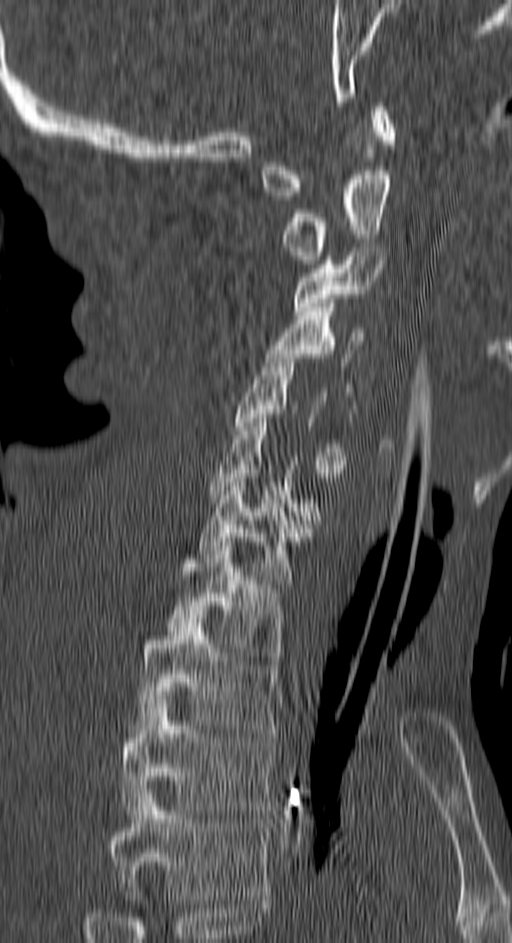
CT, spine — sagittal view — bone window — 150 mm image width
Coordinates as <box>x1,y1,x2,y2</box>.
A vertebra is boxed only from the first to the last slice where its cross-section is at least a third of its largest; slices outside that range leave it without a box.
This scan's labels start at C1 at the top and end at T4 at the bottom.
Vertebra bounding boxes:
- T4: <box>107,789,266,899</box>
- T3: <box>121,691,273,814</box>
- T2: <box>137,614,277,733</box>
- T1: <box>168,542,281,660</box>
- C7: <box>199,474,311,588</box>
- C5: <box>235,354,345,473</box>
- C4: <box>266,303,362,366</box>
- C3: <box>294,247,379,319</box>
- C2: <box>285,166,389,264</box>
- C1: <box>261,102,393,200</box>